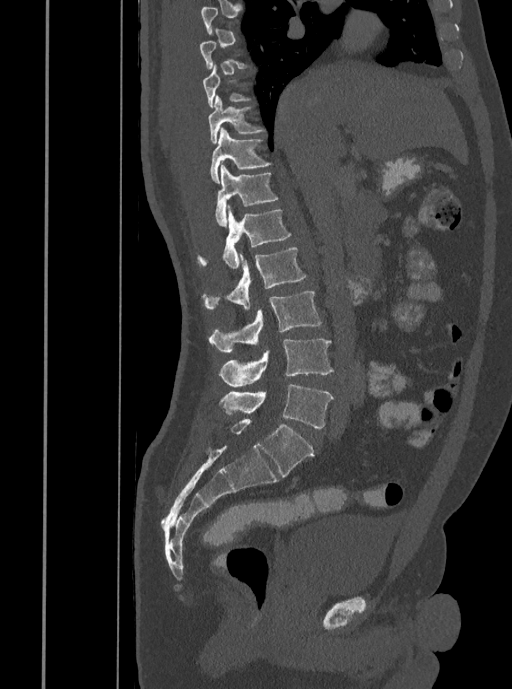 Computed tomography of the spine · sagittal view · 512x689 px · 408 mm image width
Box values are [left, top, right, bottom] in pixels.
A vertebra gets a box only on the slices from the first to the last where its cross-section is at least a third of its largest; on a slice outside that range it gets none.
{"vertebrae":{"T9":[203,63,254,107],"T10":[208,95,266,144],"T11":[209,128,271,183],"T12":[215,162,279,227],"L1":[197,207,291,268],"L2":[202,247,306,310],"L3":[208,291,321,351],"L4":[219,339,333,386],"L5":[221,384,333,428]}}